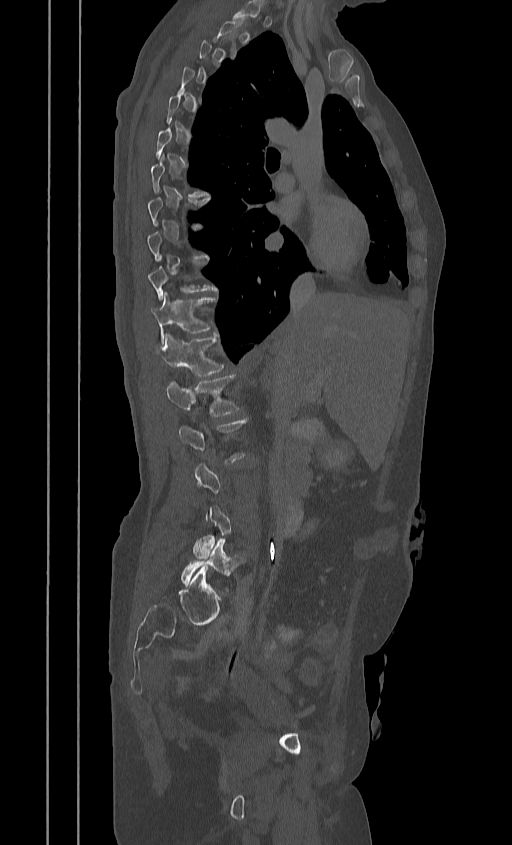

Spine CT; sagittal view
Box values are [left, top, right, bottom] in pixels.
Not every vertebra on this slice has a box: a vertebra is boxed only from the first to the last slice where its cross-section is at least a third of its largest, and this slice is outside that range for at least one of them.
{"vertebrae":{"T10":[148,264,217,300],"T11":[150,292,217,342],"T12":[156,333,225,376],"L1":[165,375,240,416],"L2":[178,419,248,462],"L5":[181,539,245,591]}}